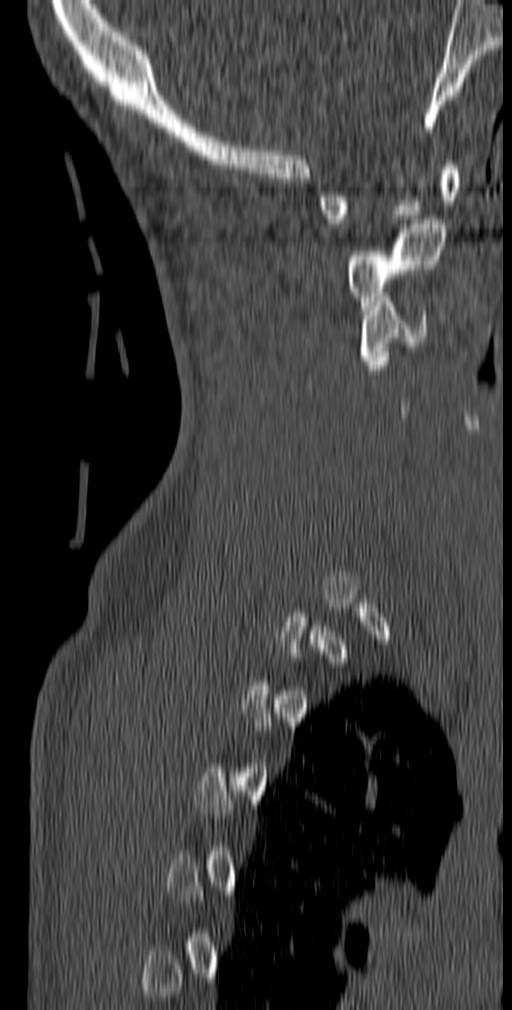

Computed tomography of the spine. sagittal view. W/L 1800/400 HU. the image is 140 mm wide. 512x1010 px
Each box is [x1, y1, x2, y2] in pixels: top-left corner, then bottom-right corner.
A vertebra gets a box only on the slices from the first to the last where its cross-section is at least a third of its largest; on a slice outside that range it gets none.
{"vertebrae":{"C1":[319,160,459,228],"C2":[349,219,446,310],"C3":[360,293,430,365]}}